CT, spine — Sagittal slice 279/512 — the image spans 162 mm across — Bone window (WL 400, WW 1800) — scan covers 11 annotated vertebrae
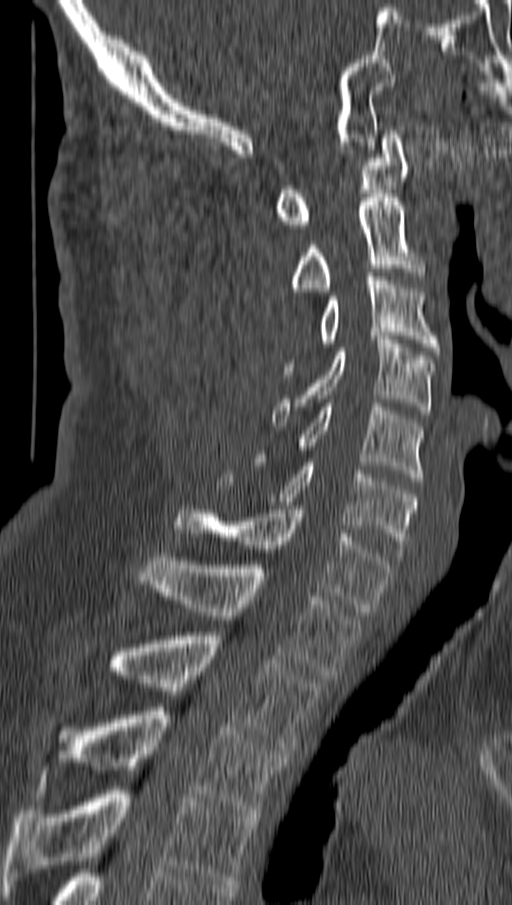
Boxes are given in columns x1, y1, x2, y2, the pixel coordinates of their top-left and bottom-right corners.
| vertebra | x1 | y1 | x2 | y2 |
|---|---|---|---|---|
| C1 | 273 | 130 | 408 | 228 |
| C2 | 289 | 194 | 424 | 295 |
| C3 | 284 | 273 | 439 | 374 |
| C4 | 273 | 336 | 436 | 426 |
| C5 | 257 | 403 | 424 | 481 |
| C6 | 218 | 462 | 417 | 552 |
| C7 | 175 | 506 | 392 | 611 |
| T1 | 140 | 553 | 360 | 679 |
| T2 | 105 | 632 | 319 | 754 |
| T3 | 71 | 707 | 285 | 817 |
| T4 | 4 | 786 | 256 | 888 |